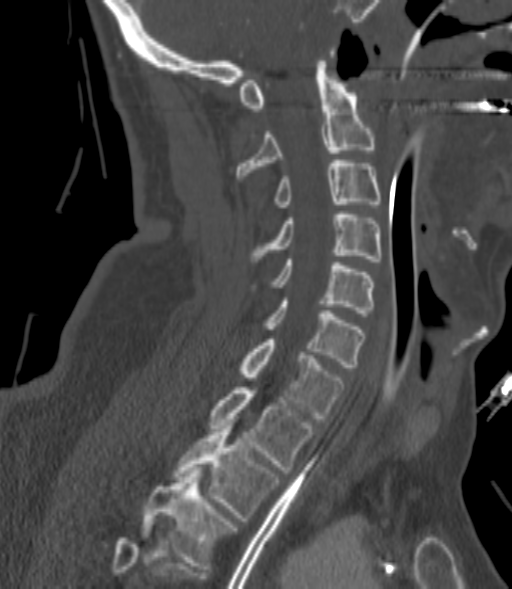 CT · sagittal view
In the table, x1 and y1 are a box's top-left corner and x2 and y2 its bottom-right corner, in pixels.
Each vertebra is boxed only on the slices from the first to the last where its cross-section reaches a third of its largest, so a slice outside that range leaves it unboxed.
| vertebra | x1 | y1 | x2 | y2 |
|---|---|---|---|---|
| C2 | 236 | 61 | 374 | 178 |
| C3 | 275 | 160 | 379 | 207 |
| C4 | 252 | 211 | 381 | 261 |
| C5 | 272 | 259 | 374 | 316 |
| C6 | 264 | 301 | 363 | 367 |
| C7 | 239 | 339 | 343 | 421 |
| T1 | 208 | 387 | 312 | 473 |
| T2 | 172 | 426 | 279 | 521 |
| T3 | 142 | 470 | 235 | 569 |